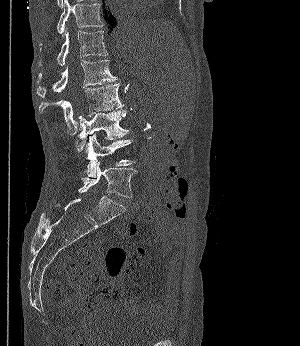
CT, spine; sagittal view; W/L 1800/400 HU
Boxes below are [x1, y1, x2, y2] in pixels.
{"vertebrae":{"T11":[57,0,102,35],"T12":[39,27,108,66],"L1":[37,60,116,97],"L2":[39,83,123,134],"L3":[77,110,128,152],"L4":[75,134,135,177],"L5":[78,162,137,197]}}